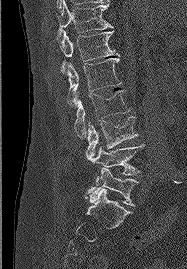
CT; sagittal reformat; bone-window reconstruction
Coordinates as <box>x1,y1,x2,y2</box>. 7 vertebrae labeled — L5 at <box>85,167,138,206</box>; L4 at <box>90,144,145,185</box>; L3 at <box>85,116,137,159</box>; L2 at <box>74,90,130,137</box>; L1 at <box>67,56,121,106</box>; T12 at <box>60,31,119,74</box>; T11 at <box>58,0,113,35</box>.